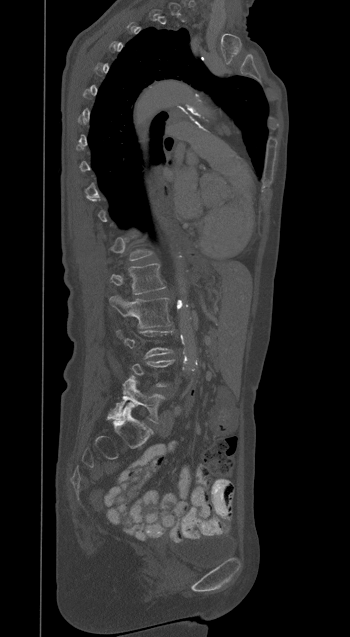 Spine computed tomography. sagittal view

Coordinates as <box>x1,y1,x2,y2</box>. Not every vertebra on this slice has a box: a vertebra is boxed only from the first to the last slice where its cross-section is at least a third of its largest, and this slice is outside that range for at least one of them. 3 vertebrae labeled — L1 at <box>110,264,165,294</box>; L2 at <box>110,295,171,328</box>; L5 at <box>108,376,165,422</box>.